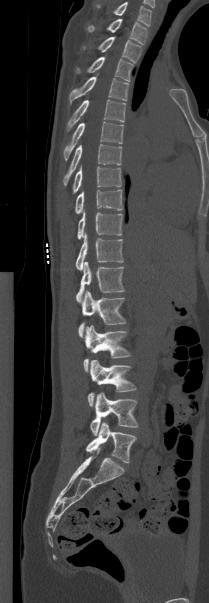

CT; sagittal view; 209x603 px; image width 209 mm

Each box is [x1, y1, x2, y2] in pixels: top-left corner, then bottom-right corner.
In this scan, the topmost labeled vertebra is T1 and the lowest is L5.
{"vertebrae":{"L5":[86,422,136,463],"L4":[90,392,138,435],"L3":[88,360,136,406],"L2":[83,325,130,372],"L1":[78,291,126,337],"T12":[76,262,124,301],"T11":[75,233,123,270],"T10":[77,211,122,239],"T9":[75,189,122,213],"T8":[72,166,121,193],"T7":[63,144,121,184],"T6":[63,121,123,159],"T5":[67,99,125,130],"T4":[69,76,128,103],"T3":[76,57,132,81],"T2":[82,36,141,62],"T1":[87,18,147,44]}}